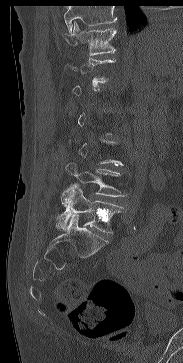
Computed tomography of the spine — sagittal view — bone window. Boxes are (x1, y1, x2, y2) in pixels.
Each vertebra is boxed only on the slices from the first to the last where its cross-section reaches a third of its largest, so a slice outside that range leaves it unboxed.
Vertebrae that run past the top of the scan are left unlabeled.
T11: (66, 21, 116, 55)
L4: (66, 163, 125, 196)
L5: (56, 184, 123, 233)